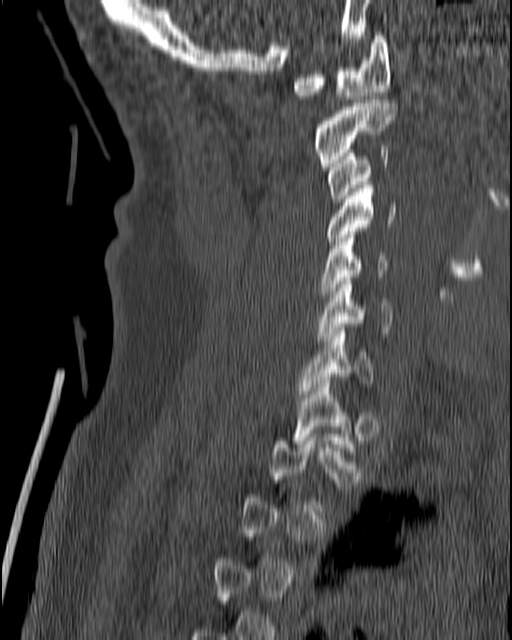

CT; sagittal view; 512x640 px
Coordinates as <box>x1,y1,x2,y2</box>.
A vertebra gets a box only on the slices from the first to the last where its cross-section is at least a third of its largest; on a slice outside that range it gets none.
C1: <box>294,32,390,99</box>
C2: <box>314,100,397,166</box>
C3: <box>325,146,389,202</box>
C4: <box>325,181,398,248</box>
C5: <box>319,235,387,301</box>
C6: <box>316,277,394,340</box>
C7: <box>297,327,373,397</box>